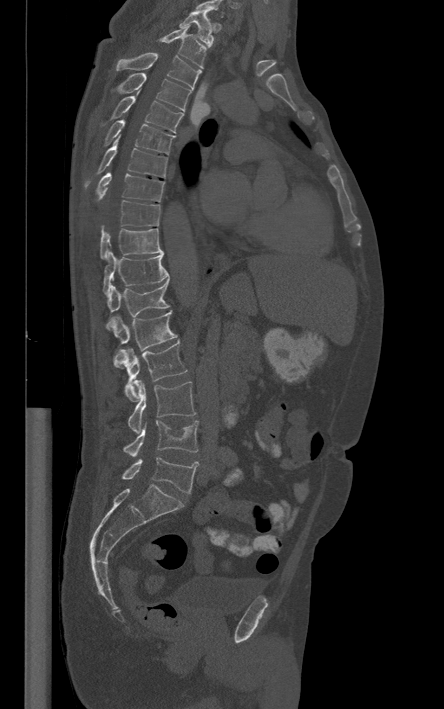

Spine CT; sagittal view; 444x709 px
Columns x1, y1, x2, y2 give each box's top-left and bottom-right pixels.
The highest labeled vertebra in this scan is T1; the lowest is L5.
| vertebra | x1 | y1 | x2 | y2 |
|---|---|---|---|---|
| T1 | 180 | 12 | 213 | 47 |
| T2 | 159 | 25 | 206 | 68 |
| T3 | 118 | 53 | 201 | 88 |
| T4 | 117 | 73 | 191 | 112 |
| T5 | 97 | 94 | 183 | 132 |
| T6 | 105 | 119 | 174 | 154 |
| T7 | 86 | 135 | 167 | 185 |
| T8 | 96 | 172 | 164 | 201 |
| T9 | 101 | 200 | 160 | 232 |
| T10 | 100 | 228 | 163 | 259 |
| T11 | 103 | 250 | 169 | 294 |
| T12 | 105 | 277 | 169 | 329 |
| L1 | 110 | 311 | 176 | 368 |
| L2 | 114 | 341 | 187 | 400 |
| L3 | 128 | 380 | 195 | 433 |
| L4 | 123 | 420 | 197 | 456 |
| L5 | 122 | 456 | 198 | 493 |